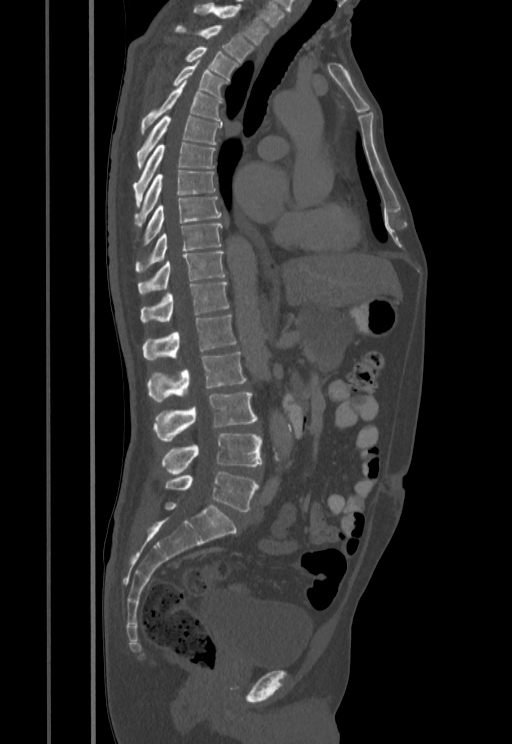 Spine CT · sagittal reformat

Boxes: x1 y1 x2 y2 (pixel coords, space-separated). The labeled vertebrae in this slice are: T1 at 193 3 270 44, T2 at 174 25 254 62, T3 at 184 46 239 79, T4 at 172 63 230 99, T5 at 142 82 223 133, T6 at 137 117 221 166, T7 at 133 142 215 206, T8 at 135 170 215 224, T9 at 142 196 222 245, T10 at 135 224 222 272, T11 at 137 252 225 294, T12 at 141 281 228 323, L1 at 142 314 236 359, L2 at 146 352 245 403, L3 at 153 392 257 442, L4 at 162 433 262 474, L5 at 165 471 258 511.